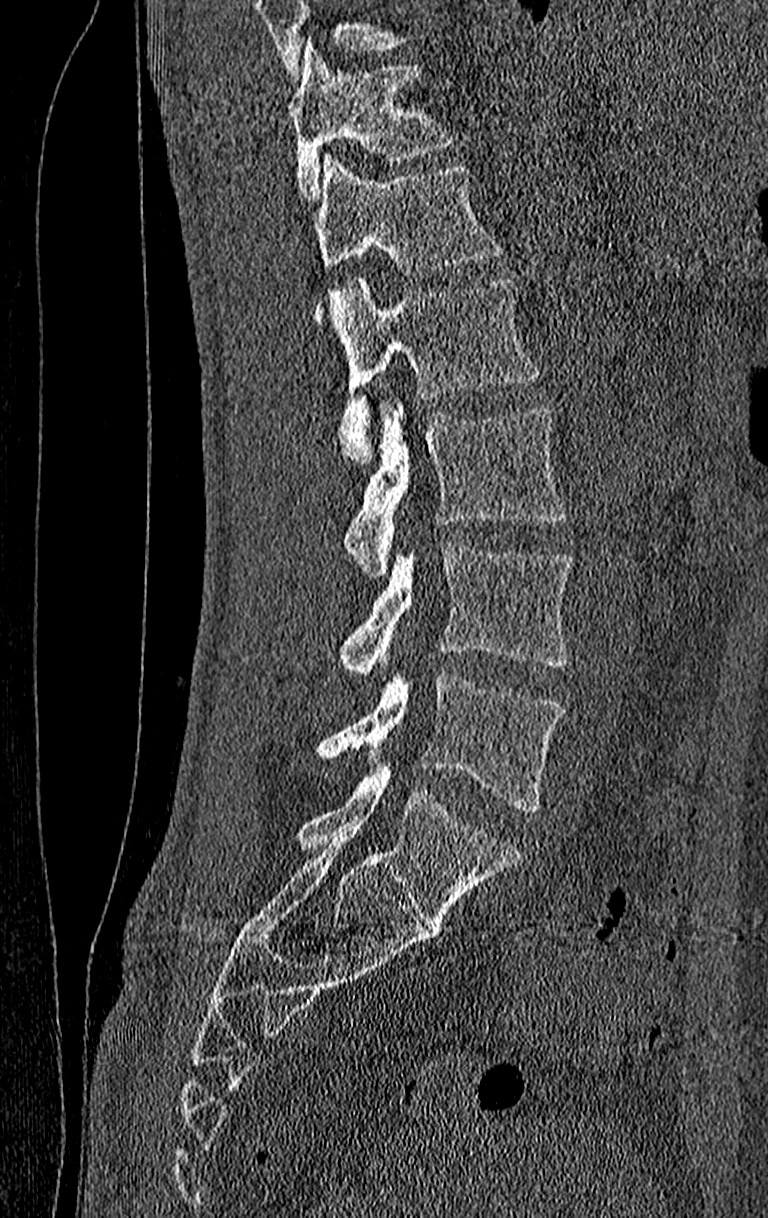

Spine CT; image width 210 mm; sagittal view; Bone window (WL 400, WW 1800)

Each box given as x1,y1,x2,y2.
A vertebra cut off by the top edge of the scan is not labeled and has no box.
The highest labeled vertebra in this scan is T11; the lowest is L4.
| vertebra | x1 | y1 | x2 | y2 |
|---|---|---|---|---|
| T11 | 288 | 44 | 458 | 201 |
| T12 | 313 | 155 | 502 | 322 |
| L1 | 331 | 275 | 539 | 465 |
| L2 | 342 | 406 | 565 | 573 |
| L3 | 339 | 546 | 572 | 677 |
| L4 | 317 | 673 | 565 | 812 |